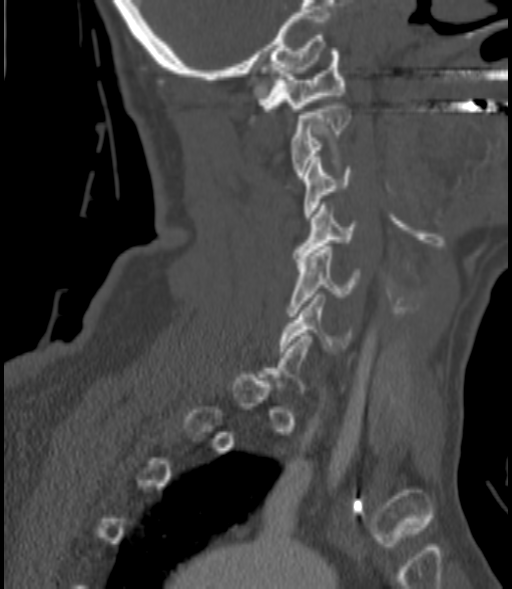

Spine computed tomography; sagittal view

Boxes are (x1, y1, x2, y2) in pixels.
A vertebra gets a box only on the slices from the first to the last where its cross-section is at least a third of its largest; on a slice outside that range it gets none.
Vertebra bounding boxes:
- C1: (258, 48, 345, 111)
- C2: (290, 102, 350, 178)
- C3: (303, 157, 352, 220)
- C4: (294, 205, 357, 261)
- C5: (288, 246, 359, 316)
- C6: (279, 294, 350, 351)